CT spine — sagittal plane, index 79 — bone window
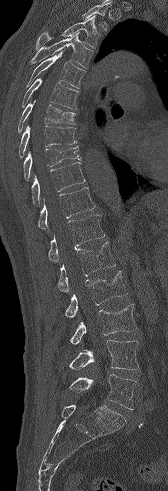 Coordinates as <box>x1,y1,x2,y2</box>. A vertebra cut off by the top edge of the scan is not labeled and has no box. The labeled vertebrae in this slice are: T3 at <box>36,15,100,49</box>, T4 at <box>31,32,93,68</box>, T5 at <box>26,51,85,88</box>, T6 at <box>22,78,79,109</box>, T7 at <box>18,100,75,132</box>, T8 at <box>18,125,76,158</box>, T9 at <box>23,146,81,180</box>, T10 at <box>31,162,85,205</box>, T11 at <box>38,187,95,229</box>, T12 at <box>48,215,104,261</box>, L1 at <box>57,241,115,292</box>, L2 at <box>64,271,127,317</box>, L3 at <box>70,304,136,344</box>, L4 at <box>69,340,138,370</box>, L5 at <box>69,374,136,409</box>.